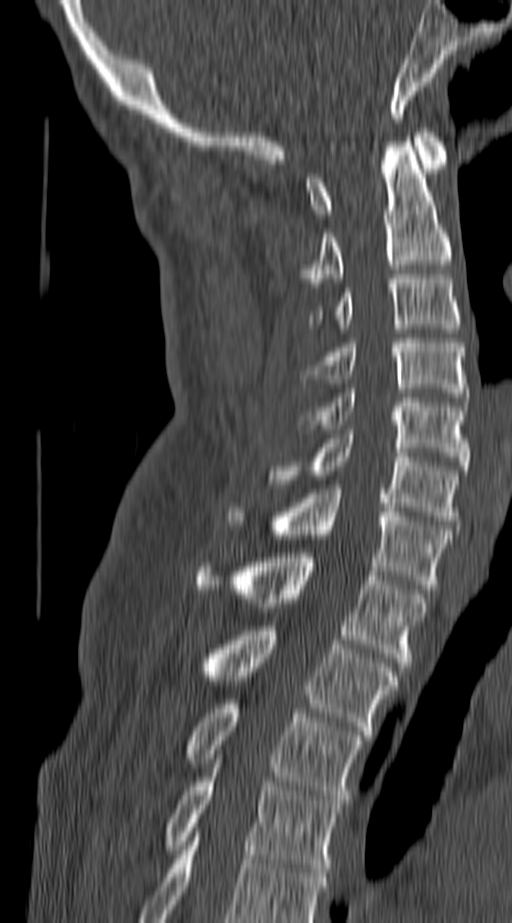
CT spine · sagittal view · bone window
Boxes: x1 y1 x2 y2 (pixel coords, space-separated).
This scan's labels start at C1 at the top and end at T4 at the bottom.
C1: 305 128 447 218
C2: 300 142 450 287
C3: 312 274 461 328
C4: 305 338 465 397
C5: 295 389 468 470
C6: 268 434 457 525
C7: 228 489 450 589
T1: 195 553 425 671
T2: 206 626 395 735
T3: 188 699 362 804
T4: 166 763 340 872